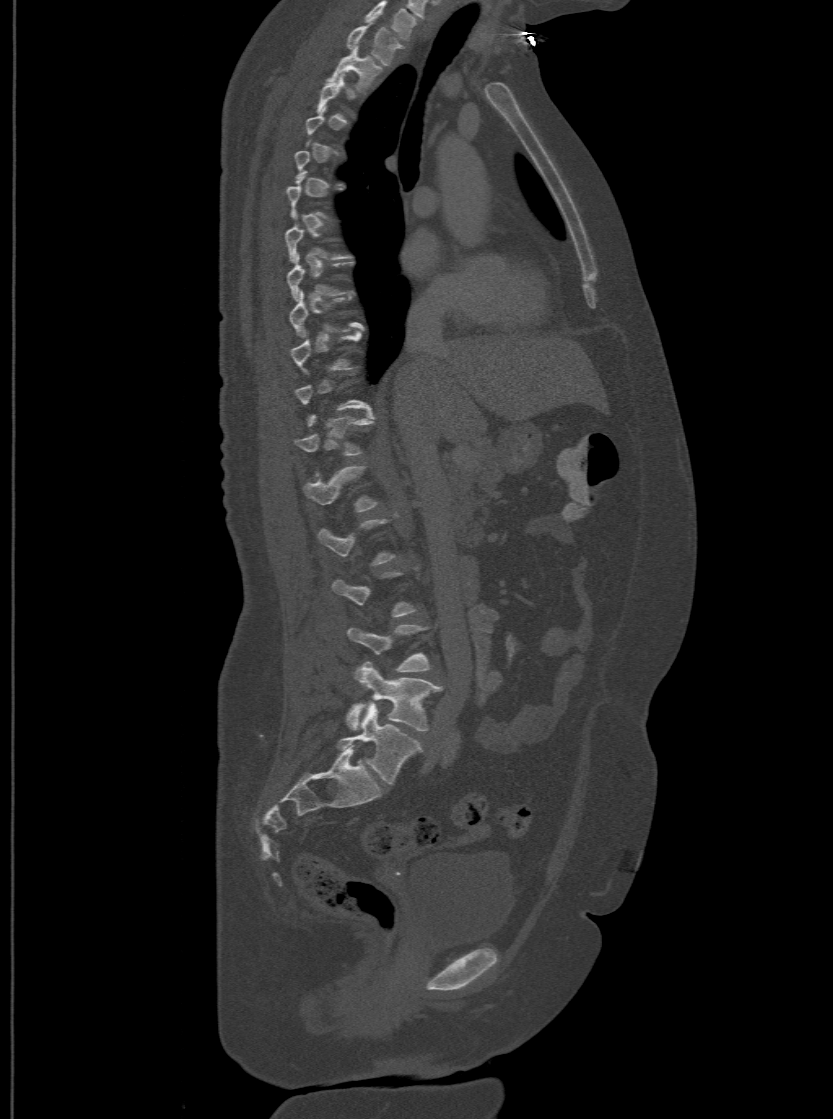
CT. sagittal view. the image is 500 mm wide. bone window
A vertebra is boxed only from the first to the last slice where its cross-section is at least a third of its largest; slices outside that range leave it without a box.
The highest labeled vertebra in this scan is T1; the lowest is L6.
In these labels the spine has an L6, a sixth lumbar vertebra below L5.
<vertebrae><v name="L6" x1="337" y1="703" x2="422" y2="783"/><v name="L5" x1="347" y1="661" x2="442" y2="730"/><v name="L4" x1="348" y1="624" x2="430" y2="672"/><v name="L1" x1="303" y1="465" x2="377" y2="511"/><v name="T12" x1="296" y1="412" x2="373" y2="454"/><v name="T2" x1="329" y1="45" x2="378" y2="91"/><v name="T1" x1="347" y1="25" x2="401" y2="64"/></vertebrae>